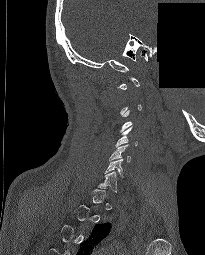

CT. sagittal view. bone-window reconstruction. part of the scan has been removed (filled with constant black)

Each box given as x1,y1,x2,y2. Each vertebra is boxed only on the slices from the first to the last where its cross-section reaches a third of its largest, so a slice outside that range leaves it unboxed. The labeled vertebrae in this slice are: C4 at x1=114, y1=126, x2=137, y2=147, C5 at x1=108, y1=144, x2=130, y2=162.